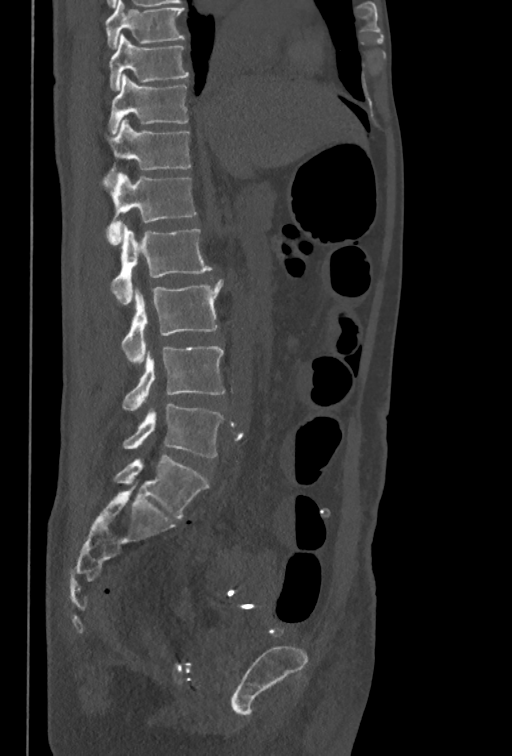
Spine CT · sagittal view

Bounding boxes as [x1, y1, x2, y2] in pixel coordinates. The highest labeled vertebra in this scan is T10; the lowest is L5. 8 vertebrae labeled — T10 at [109, 34, 189, 91]; T11 at [109, 74, 189, 133]; T12 at [105, 118, 190, 177]; L1 at [102, 172, 196, 245]; L2 at [111, 224, 212, 304]; L3 at [121, 279, 223, 362]; L4 at [122, 346, 224, 410]; L5 at [123, 403, 223, 457].